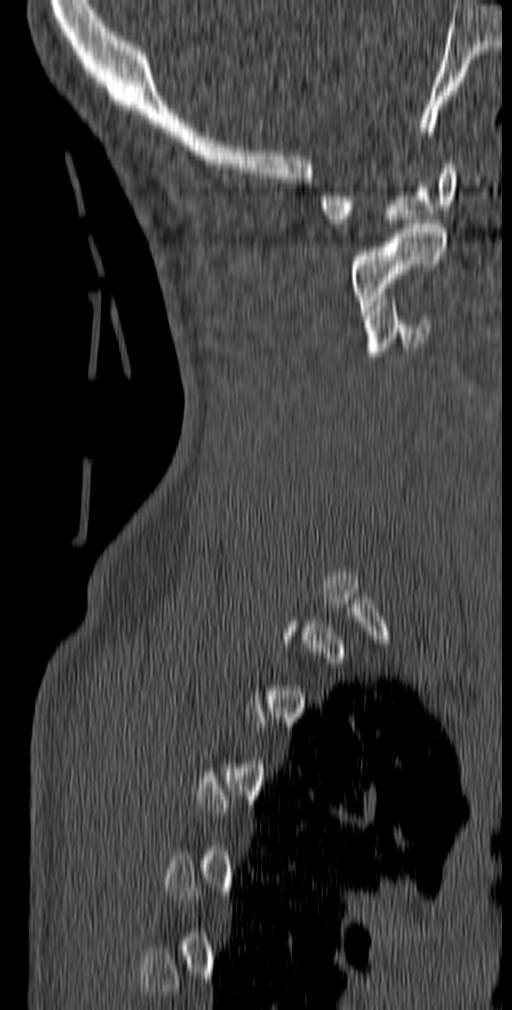
Computed tomography of the spine · sagittal reformat
Boxes are (x1, y1, x2, y2) in pixels.
A vertebra is boxed only from the first to the last slice where its cross-section is at least a third of its largest; slices outside that range leave it without a box.
C1: (320, 160, 457, 228)
C2: (349, 219, 446, 314)
C3: (363, 297, 430, 356)